Computed tomography of the spine — Sagittal slice 283/512 — 512x681 px — image 140 mm wide
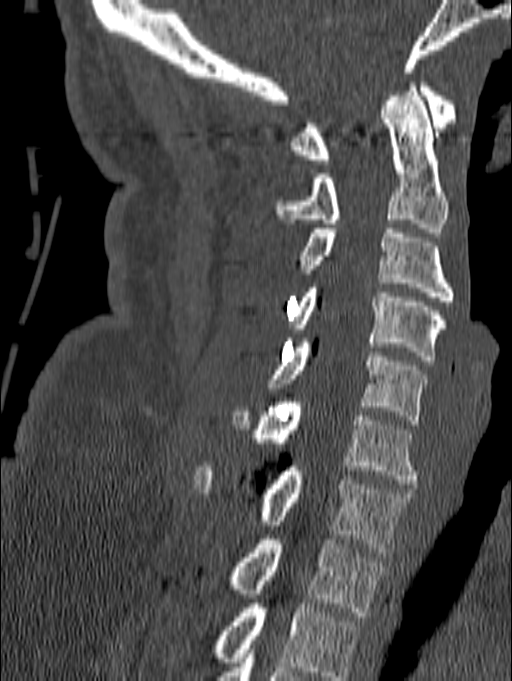

Each box given as x1,y1,x2,y2.
This scan's labels start at C1 at the top and end at T1 at the bottom.
| vertebra | x1 | y1 | x2 | y2 |
|---|---|---|---|---|
| T1 | 228 | 535 | 384 | 616 |
| C7 | 192 | 462 | 414 | 557 |
| C6 | 231 | 398 | 420 | 484 |
| C5 | 268 | 338 | 431 | 424 |
| C4 | 290 | 283 | 447 | 360 |
| C3 | 299 | 229 | 454 | 301 |
| C2 | 276 | 82 | 447 | 232 |
| C1 | 290 | 78 | 456 | 164 |